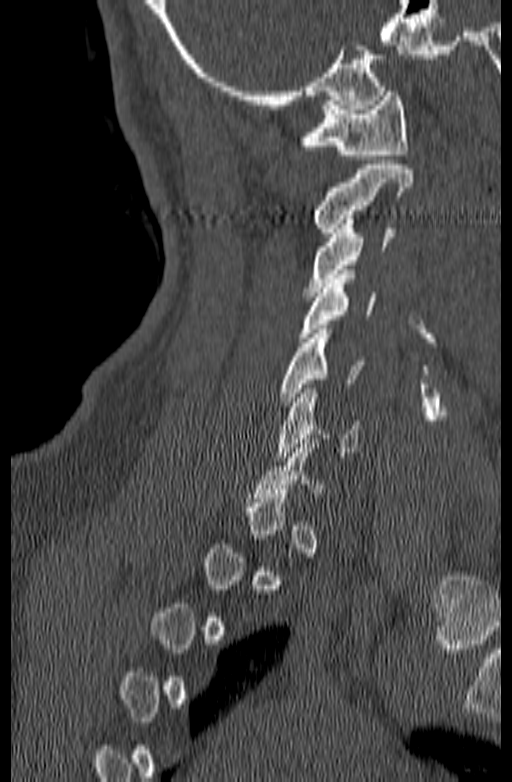

Spine CT · sagittal view. Boxes: x1:y1:x2:y2 in pixels.
Each vertebra is boxed only on the slices from the first to the last where its cross-section reaches a third of its largest, so a slice outside that range leaves it unboxed.
C1: 300:91:408:159
C2: 313:165:413:237
C3: 305:215:393:296
C4: 298:270:375:342
C5: 276:329:366:406
C6: 275:389:360:461